CT spine; sagittal plane, index 291; bone-window reconstruction
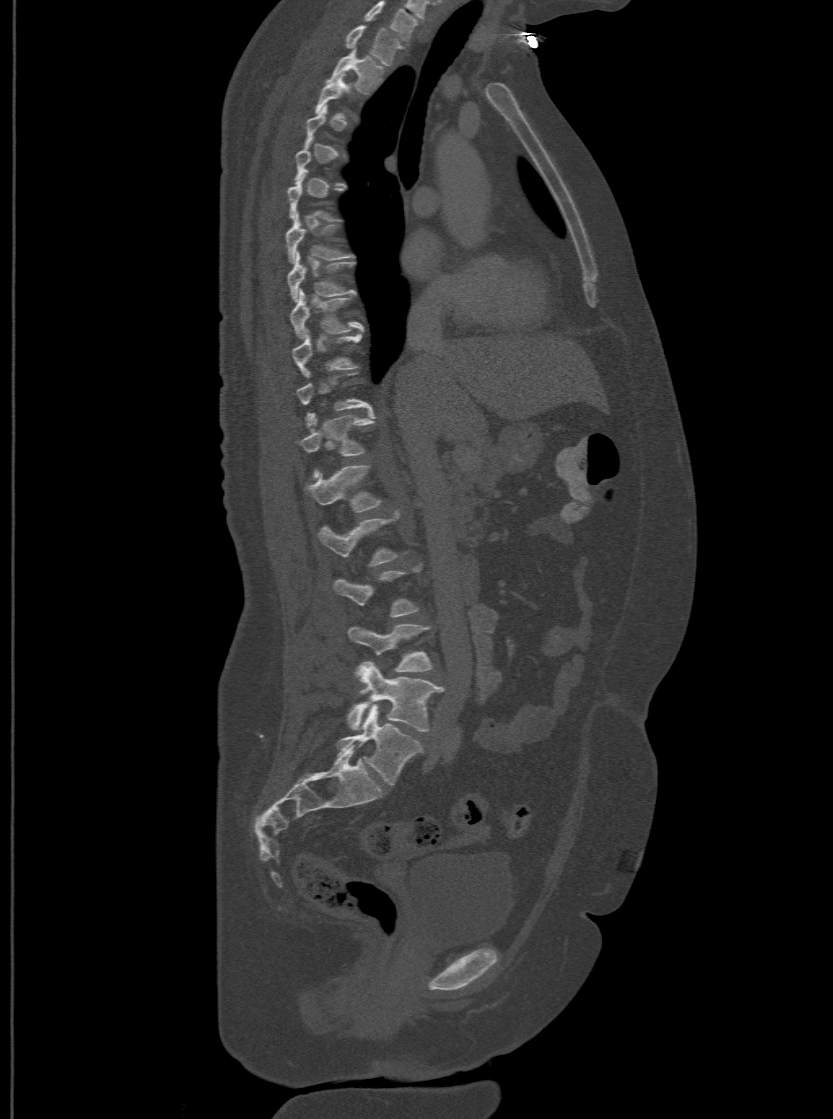
Boxes: x1:y1:x2:y2 in pixels. Not every vertebra on this slice has a box: a vertebra is boxed only from the first to the last slice where its cross-section is at least a third of its largest, and this slice is outside that range for at least one of them. In this scan, the topmost labeled vertebra is T1 and the lowest is L6. The labels name a sixth lumbar vertebra for this spine: L6, after L5. 12 vertebrae labeled — T1 at 345:25:403:64; T2 at 329:48:383:92; T7 at 285:212:352:261; T8 at 286:252:354:299; T9 at 290:288:364:337; T10 at 291:328:360:376; T12 at 299:413:373:476; L1 at 304:463:380:511; L2 at 319:512:399:565; L4 at 348:624:432:672; L5 at 347:661:443:732; L6 at 337:704:422:785.